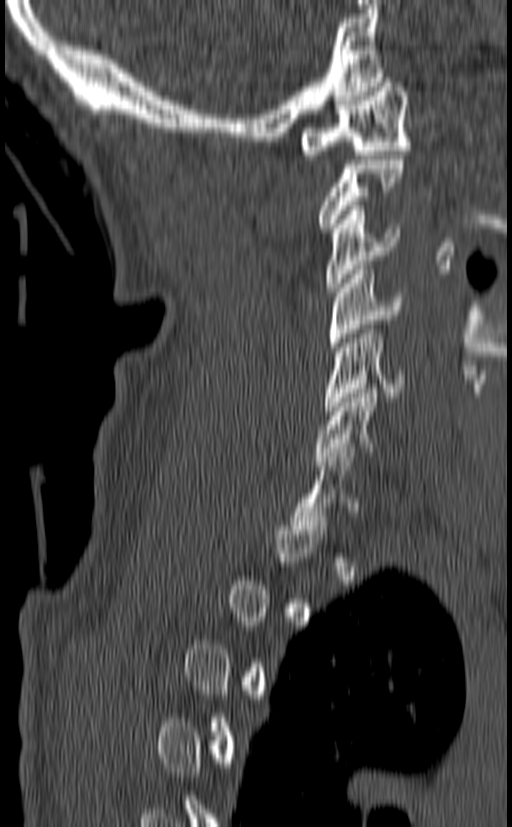

CT, spine · sagittal view · 512x827 px
Boxes: x1:y1:x2:y2 in pixels.
Each vertebra is boxed only on the slices from the first to the last where its cross-section reaches a third of its largest, so a slice outside that range leaves it unboxed.
C1: 301:78:411:159
C3: 325:206:401:292
C4: 329:265:403:351
C5: 323:325:406:410
C6: 314:384:400:465
C7: 290:448:359:534